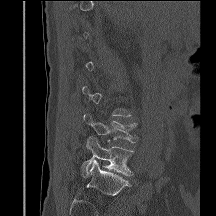
Computed tomography of the spine — sagittal view — Bone window (WL 400, WW 1800)

Boxes are (x1, y1, x2, y2) in pixels.
A vertebra is boxed only from the first to the last slice where its cross-section is at least a third of its largest; slices outside that range leave it without a box.
Vertebra bounding boxes:
- L4: (83, 113, 137, 142)
- L5: (82, 137, 133, 177)